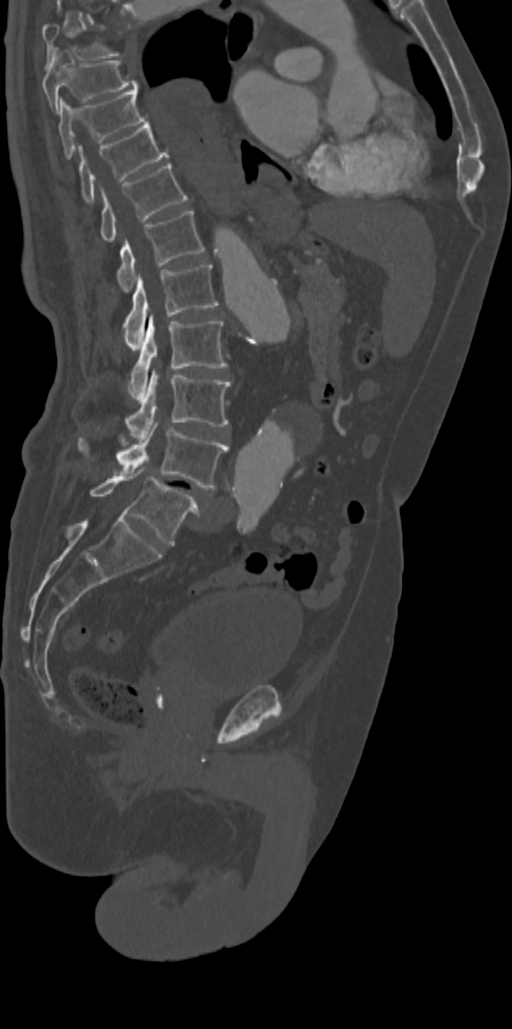
CT, spine · sagittal reformat. Bounding boxes as [x1, y1, x2, y2] in pixel coordinates.
The highest labeled vertebra in this scan is T7; the lowest is L5.
T7: [42, 22, 120, 66]
T8: [42, 54, 138, 111]
T9: [58, 90, 146, 159]
T10: [78, 121, 168, 203]
T11: [100, 162, 187, 242]
T12: [117, 211, 204, 291]
L1: [123, 265, 219, 345]
L2: [128, 315, 228, 399]
L3: [126, 368, 231, 439]
L4: [78, 422, 228, 489]
L5: [90, 467, 199, 545]